Computed tomography of the spine; sagittal reformat; 512x855 px; scan covers 16 annotated vertebrae
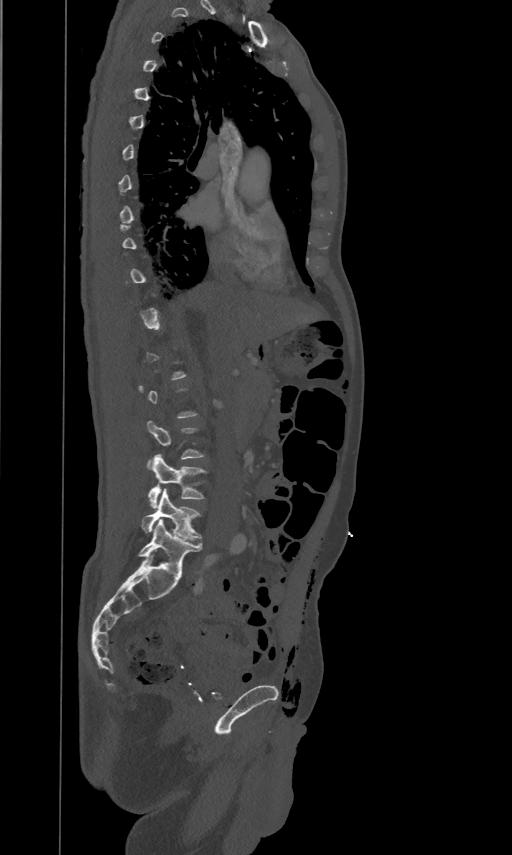
Each box given as x1,y1,x2,y2.
A vertebra gets a box only on the slices from the first to the last where its cross-section is at least a third of its largest; on a slice outside that range it gets none.
| vertebra | x1 | y1 | x2 | y2 |
|---|---|---|---|---|
| L3 | 146 | 420 | 204 | 466 |
| L4 | 148 | 454 | 205 | 507 |
| L5 | 142 | 488 | 201 | 540 |